CT, spine · image 250 mm wide · Sagittal slice 128/250
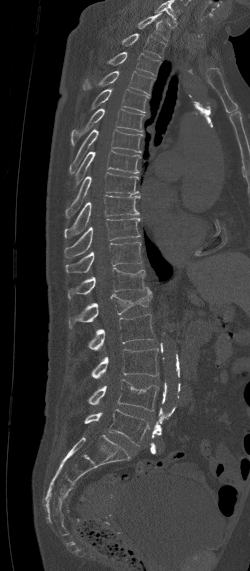 Each row gives a vertebra's box as x1, y1, x2, y2 in pixels: top-left corner, then bottom-right corner.
Labels in this scan begin with C7 at the top and end with L5 at the bottom.
| vertebra | x1 | y1 | x2 | y2 |
|---|---|---|---|---|
| C7 | 138 | 13 | 171 | 39 |
| T1 | 121 | 33 | 166 | 59 |
| T2 | 107 | 52 | 160 | 75 |
| T3 | 83 | 71 | 153 | 95 |
| T4 | 92 | 89 | 148 | 113 |
| T5 | 71 | 108 | 144 | 145 |
| T6 | 68 | 129 | 143 | 174 |
| T7 | 74 | 150 | 140 | 187 |
| T8 | 65 | 172 | 139 | 217 |
| T9 | 64 | 195 | 139 | 238 |
| T10 | 64 | 218 | 141 | 258 |
| T11 | 65 | 242 | 141 | 272 |
| T12 | 67 | 267 | 146 | 298 |
| L1 | 69 | 286 | 152 | 327 |
| L2 | 88 | 314 | 155 | 349 |
| L3 | 91 | 348 | 158 | 378 |
| L4 | 87 | 379 | 159 | 411 |
| L5 | 84 | 409 | 150 | 445 |